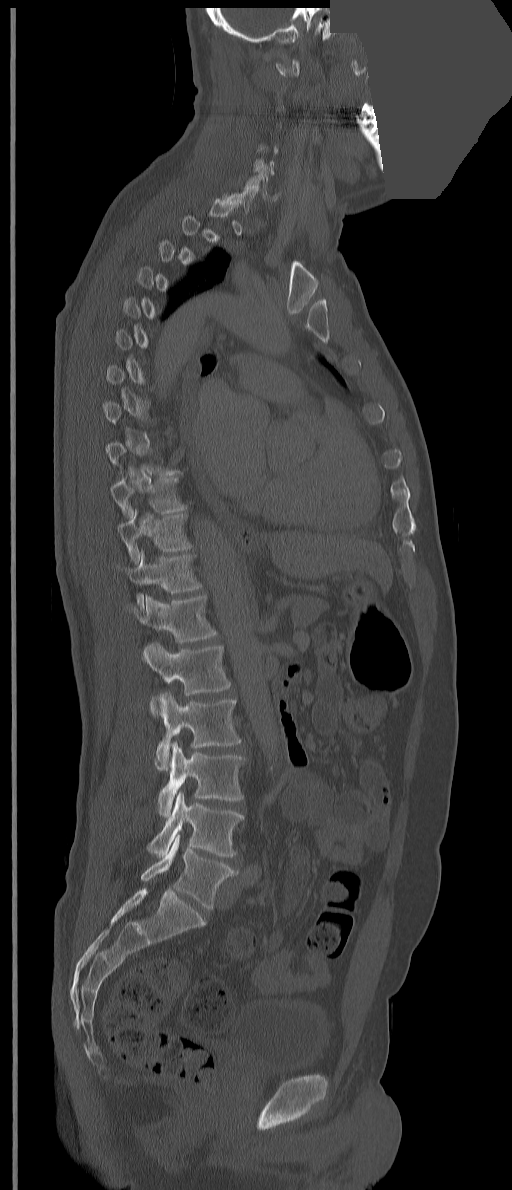

Spine CT. 351 mm image width. sagittal view. 512x1190 px. a region of this slice is masked with a uniform fill. Each box given as x1,y1,x2,y2. Not every vertebra on this slice has a box: a vertebra is boxed only from the first to the last slice where its cross-section is at least a third of its largest, and this slice is outside that range for at least one of them. These labels give the spine a thirteenth thoracic vertebra: T13 sits between T12 and L1. 10 vertebrae labeled — C6 at x1=244, y1=171, x2=281, y2=201; T10 at x1=111, y1=477, x2=186, y2=518; T11 at x1=117, y1=509, x2=192, y2=563; T12 at x1=117, y1=549, x2=202, y2=613; T13 at x1=127, y1=594, x2=217, y2=642; L1 at x1=142, y1=642, x2=230, y2=716; L2 at x1=154, y1=691, x2=241, y2=771; L3 at x1=158, y1=742, x2=244, y2=817; L4 at x1=147, y1=792, x2=243, y2=857; L5 at x1=140, y1=834, x2=237, y2=909.